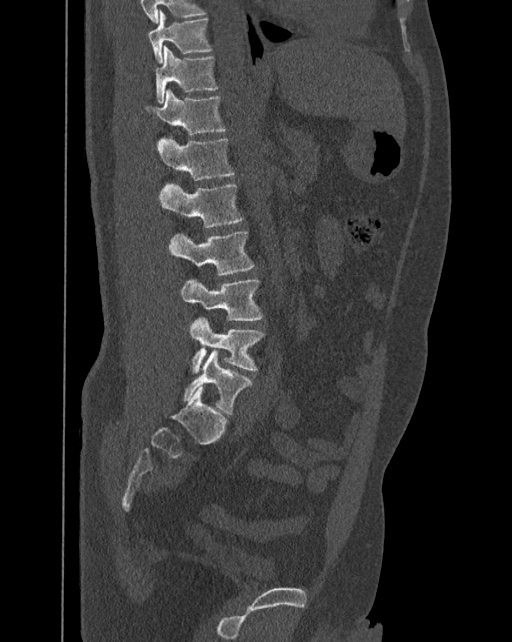
Computed tomography of the spine. sagittal view. W/L 1800/400 HU. 512x642 px
The labels name a sixth lumbar vertebra for this spine: L6, after L5.
<vertebrae><v name="T10" x1="147" y1="9" x2="210" y2="62"/><v name="T11" x1="155" y1="46" x2="217" y2="102"/><v name="T12" x1="145" y1="89" x2="225" y2="134"/><v name="L1" x1="157" y1="138" x2="234" y2="180"/><v name="L2" x1="158" y1="183" x2="243" y2="227"/><v name="L3" x1="168" y1="232" x2="254" y2="275"/><v name="L4" x1="181" y1="279" x2="261" y2="321"/><v name="L5" x1="189" y1="317" x2="264" y2="373"/><v name="L6" x1="183" y1="349" x2="251" y2="414"/></vertebrae>